CT spine; sagittal plane, index 260; bone-window reconstruction; 512x634 px
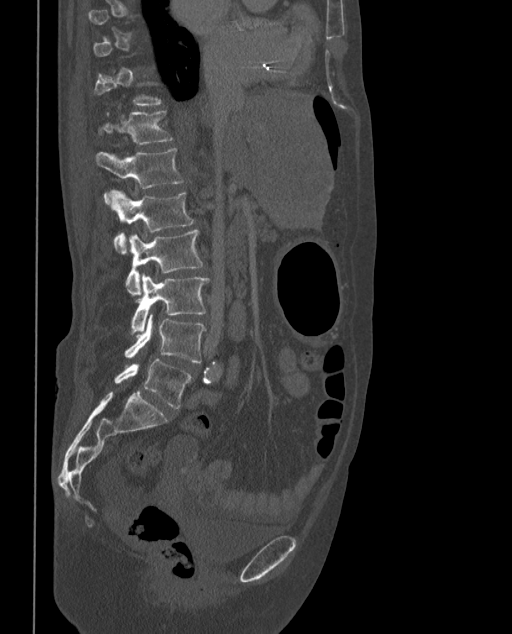

Boxes: x1:y1:x2:y2 in pixels.
Not every vertebra on this slice has a box: a vertebra is boxed only from the first to the last slice where its cross-section is at least a third of its largest, and this slice is outside that range for at least one of them.
The labels name a sixth lumbar vertebra for this spine: L6, after L5.
Vertebra bounding boxes:
- T12: 99:111:173:145
- L1: 96:148:183:197
- L2: 110:190:194:252
- L3: 126:229:203:295
- L4: 132:274:209:334
- L5: 125:313:206:362
- L6: 114:359:191:408